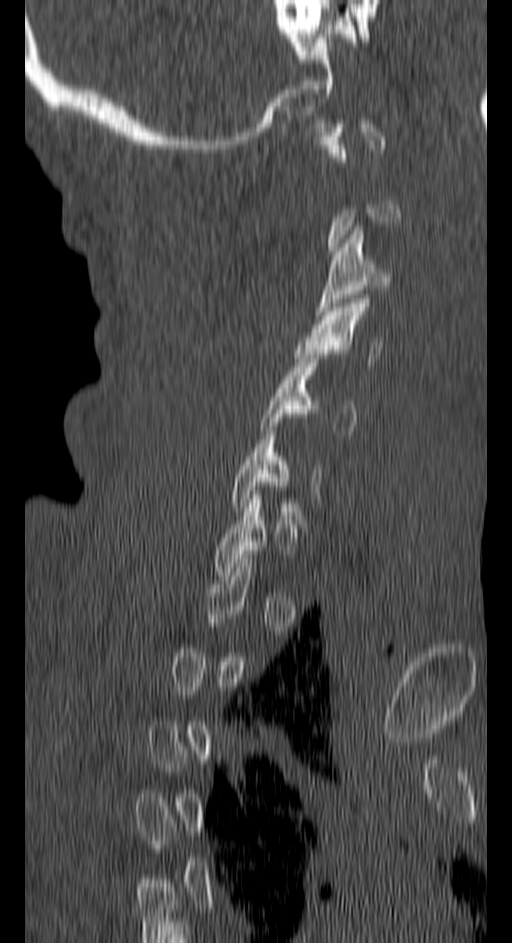
CT · sagittal reformat · bone-window reconstruction

Box edges are left/top/right/bottom in pixels.
Not every vertebra on this slice has a box: a vertebra is boxed only from the first to the last slice where its cross-section is at least a third of its largest, and this slice is outside that range for at least one of them.
Vertebra bounding boxes:
- C3: left=314, top=226, right=389, bottom=315
- C4: left=295, top=299, right=381, bottom=366
- C5: left=261, top=354, right=355, bottom=434